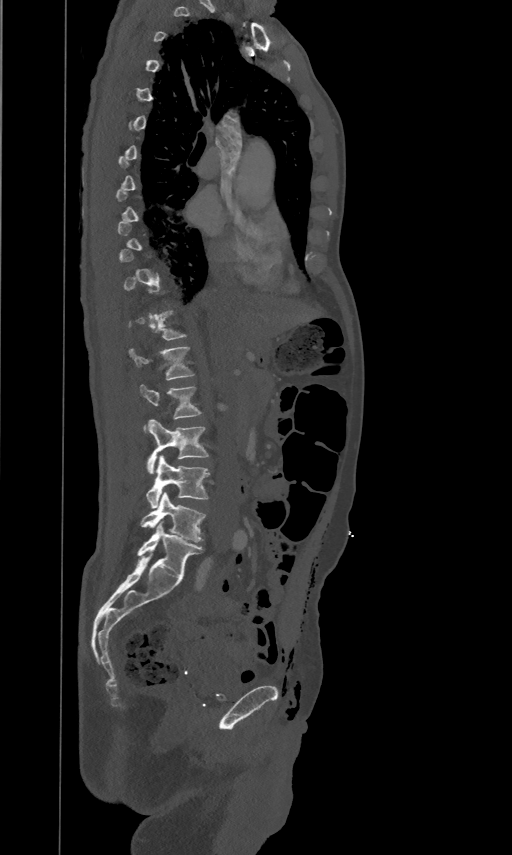

CT spine — sagittal view — bone window — 512x855 px — image 461 mm wide

Columns x1, y1, x2, y2 give each box's top-left and bottom-right pixels.
Each vertebra is boxed only on the slices from the first to the last where its cross-section reaches a third of its largest, so a slice outside that range leaves it unboxed.
| vertebra | x1 | y1 | x2 | y2 |
|---|---|---|---|---|
| L1 | 129 | 345 | 194 | 379 |
| L2 | 140 | 383 | 202 | 432 |
| L3 | 147 | 419 | 209 | 474 |
| L4 | 146 | 455 | 210 | 507 |
| L5 | 141 | 492 | 205 | 542 |